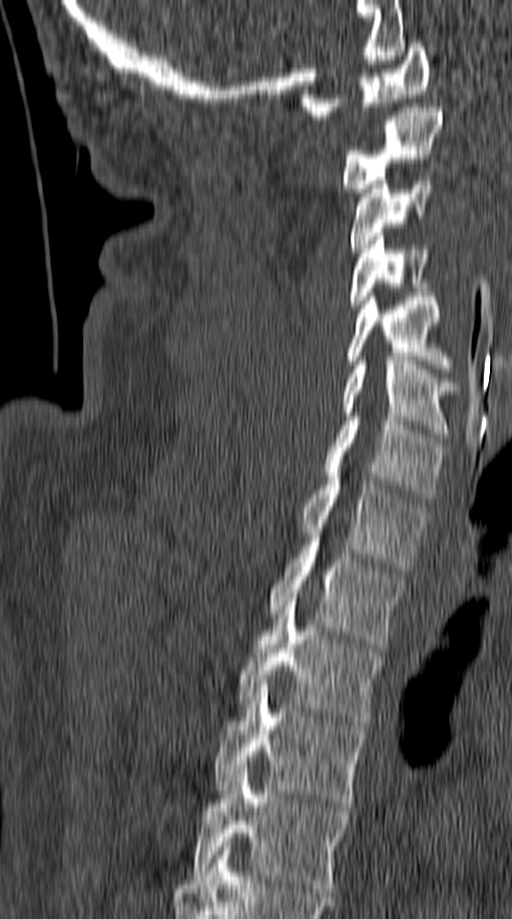
CT, spine — sagittal view — Bone window (WL 400, WW 1800)
<vertebrae><v name="C1" x1="300" y1="43" x2="430" y2="119"/><v name="C2" x1="341" y1="103" x2="443" y2="188"/><v name="C3" x1="350" y1="180" x2="433" y2="252"/><v name="C4" x1="349" y1="232" x2="430" y2="308"/><v name="C5" x1="347" y1="292" x2="454" y2="368"/><v name="C6" x1="341" y1="357" x2="459" y2="437"/><v name="C7" x1="323" y1="417" x2="447" y2="502"/><v name="T1" x1="298" y1="468" x2="426" y2="570"/><v name="T2" x1="268" y1="541" x2="406" y2="648"/><v name="T3" x1="238" y1="597" x2="385" y2="729"/><v name="T4" x1="214" y1="683" x2="368" y2="807"/><v name="T5" x1="190" y1="769" x2="351" y2="892"/></vertebrae>